CT, spine — sagittal reformat — bone window — 157 mm image width — an area of the scan was removed and filled with constant pixels
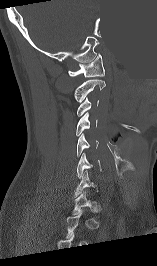 Each vertebra is boxed only on the slices from the first to the last where its cross-section reaches a third of its largest, so a slice outside that range leaves it unboxed.
Labels in this scan begin with C1 at the top and end with T1 at the bottom.
<vertebrae><v name="C1" x1="68" y1="53" x2="104" y2="77"/><v name="C2" x1="74" y1="79" x2="105" y2="101"/><v name="C3" x1="77" y1="97" x2="98" y2="116"/><v name="C4" x1="76" y1="112" x2="97" y2="136"/><v name="C5" x1="77" y1="133" x2="98" y2="157"/><v name="C6" x1="77" y1="153" x2="101" y2="179"/><v name="T1" x1="72" y1="191" x2="97" y2="218"/></vertebrae>